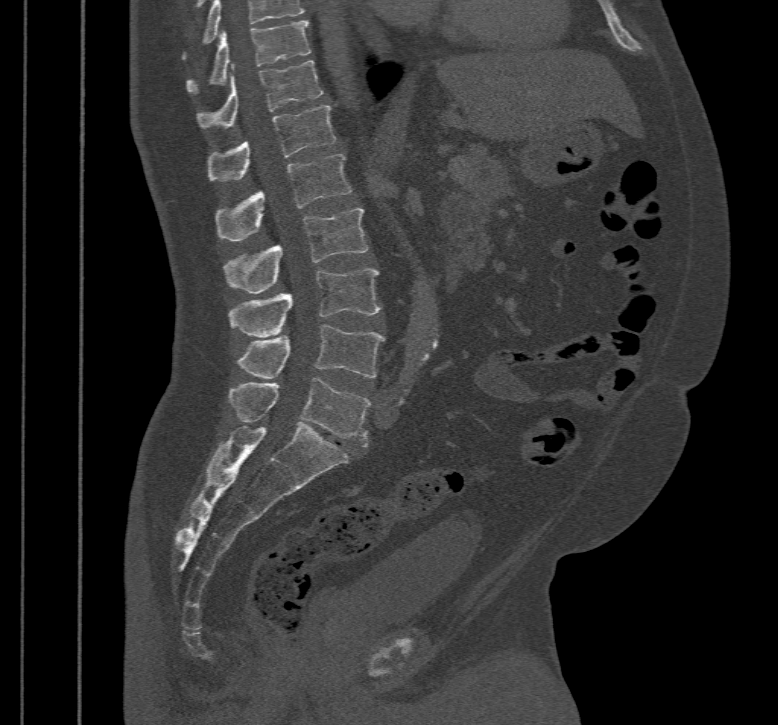 Spine CT. sagittal view. 778x725 px

Each box given as x1,y1,x2,y2.
Labels in this scan begin with T10 at the top and end with L5 at the bottom.
Vertebra bounding boxes:
- T10: x1=187, y1=20, x2=311, y2=93
- T11: x1=196, y1=60, x2=323, y2=128
- T12: x1=207, y1=105, x2=335, y2=181
- L1: x1=214, y1=154, x2=350, y2=241
- L2: x1=223, y1=209, x2=367, y2=294
- L3: x1=228, y1=268, x2=381, y2=336
- L4: x1=237, y1=324, x2=385, y2=378
- L5: x1=228, y1=377, x2=370, y2=447